Spine CT. Sagittal slice 291/512. Bone window (WL 400, WW 1800). 368 mm image width. 526x1214 px. scan covers 24 annotated vertebrae. a uniform gray block covers part of the image
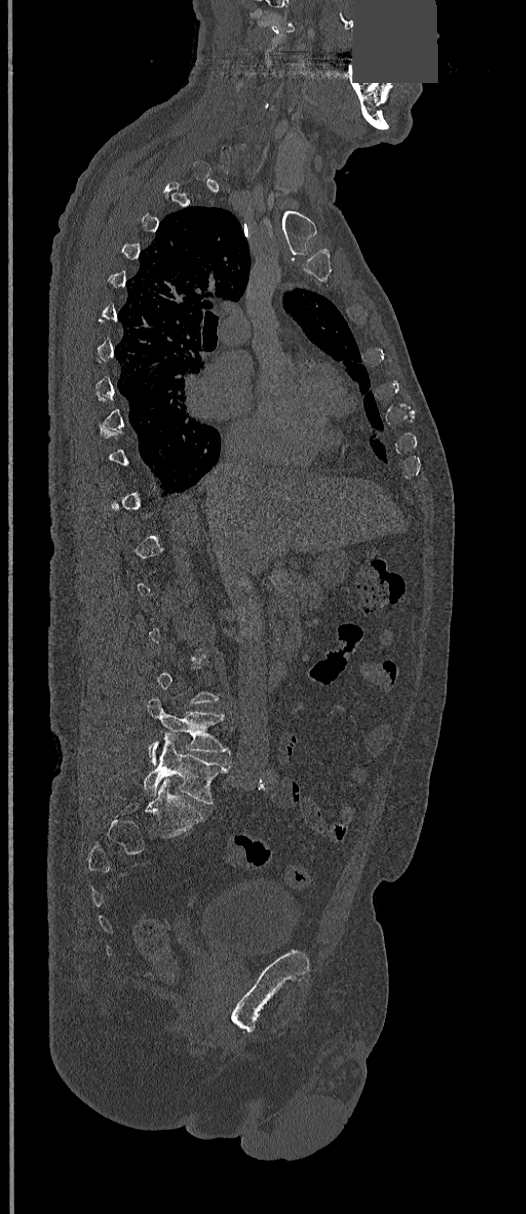
Box edges are left/top/right/bottom in pixels. Each vertebra is boxed only on the slices from the first to the last where its cross-section reaches a third of its largest, so a slice outside that range leaves it unboxed. Vertebrae labeled: L4 at left=147, top=699, right=230, bottom=765, L5 at left=143, top=737, right=227, bottom=803.